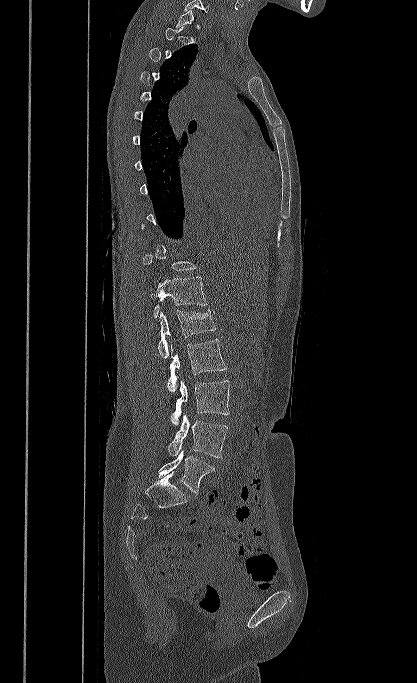

CT spine; sagittal view; the image spans 417 mm across. Columns x1, y1, x2, y2 give each box's top-left and bottom-right pixels.
A vertebra is boxed only from the first to the last slice where its cross-section is at least a third of its largest; slices outside that range leave it without a box.
| vertebra | x1 | y1 | x2 | y2 |
|---|---|---|---|---|
| L5 | 158 | 450 | 215 | 493 |
| L4 | 168 | 414 | 228 | 457 |
| L3 | 171 | 380 | 229 | 426 |
| L2 | 167 | 339 | 226 | 392 |
| L1 | 158 | 310 | 216 | 357 |
| T12 | 151 | 277 | 207 | 317 |